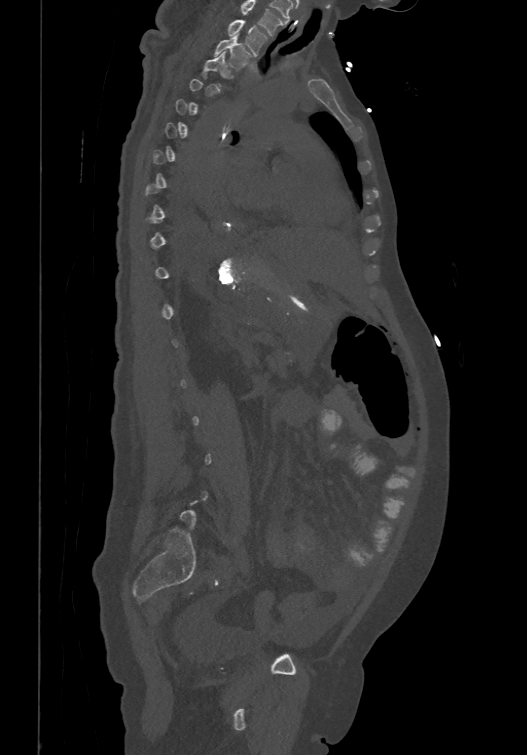 CT · sagittal view · W/L 1800/400 HU
A vertebra is boxed only from the first to the last slice where its cross-section is at least a third of its largest; slices outside that range leave it without a box.
Labels in this scan begin with T1 at the top and end with L6 at the bottom.
<vertebrae><v name="T1" x1="226" y1="18" x2="266" y2="55"/><v name="T2" x1="214" y1="34" x2="252" y2="69"/></vertebrae>